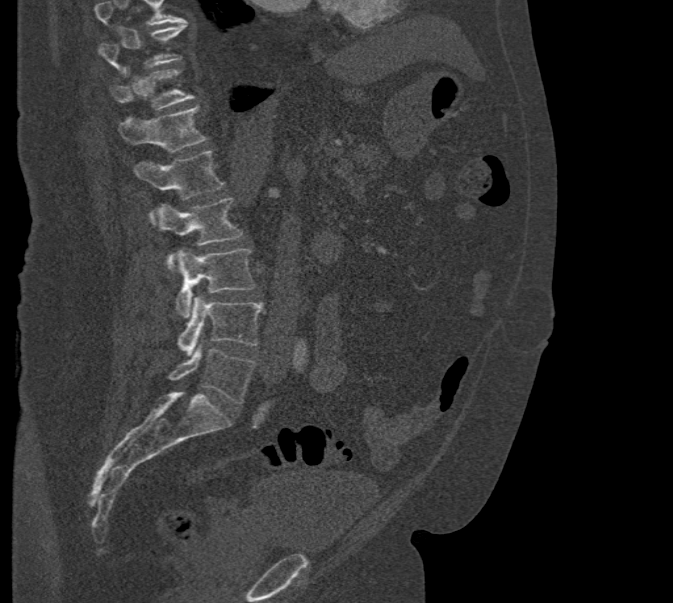

CT spine · sagittal view · Bone window (WL 400, WW 1800) · 673x603 px · 471 mm wide. Coordinates as <box>x1,y1,x2,y2</box>.
Vertebrae that run past the top of the scan are left unlabeled.
Vertebra bounding boxes:
- L5: <box>167,349,255,404</box>
- L4: <box>177,296,263,355</box>
- L3: <box>176,249,257,317</box>
- L2: <box>151,198,242,272</box>
- L1: <box>134,150,225,223</box>
- T12: <box>118,106,208,152</box>
- T11: <box>110,69,193,109</box>
- T10: <box>99,22,186,74</box>